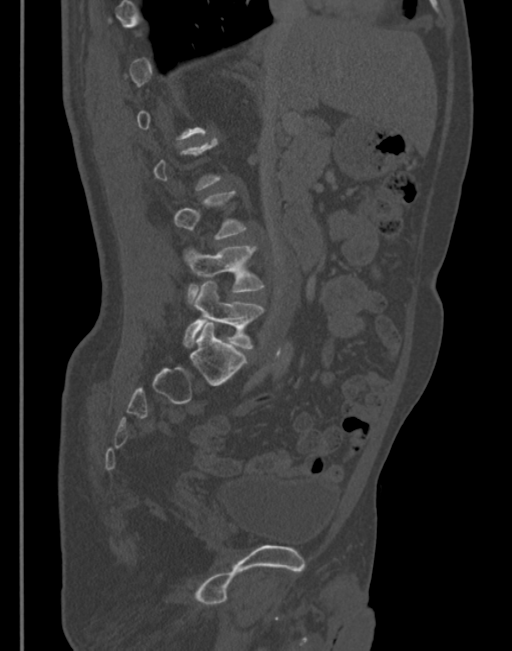 Spine computed tomography · sagittal reformat · 512x651 px. Columns x1, y1, x2, y2 give each box's top-left and bottom-right pixels.
A vertebra is boxed only from the first to the last slice where its cross-section is at least a third of its largest; slices outside that range leave it without a box.
| vertebra | x1 | y1 | x2 | y2 |
|---|---|---|---|---|
| L5 | 184 | 281 | 264 | 348 |
| L4 | 182 | 246 | 263 | 302 |